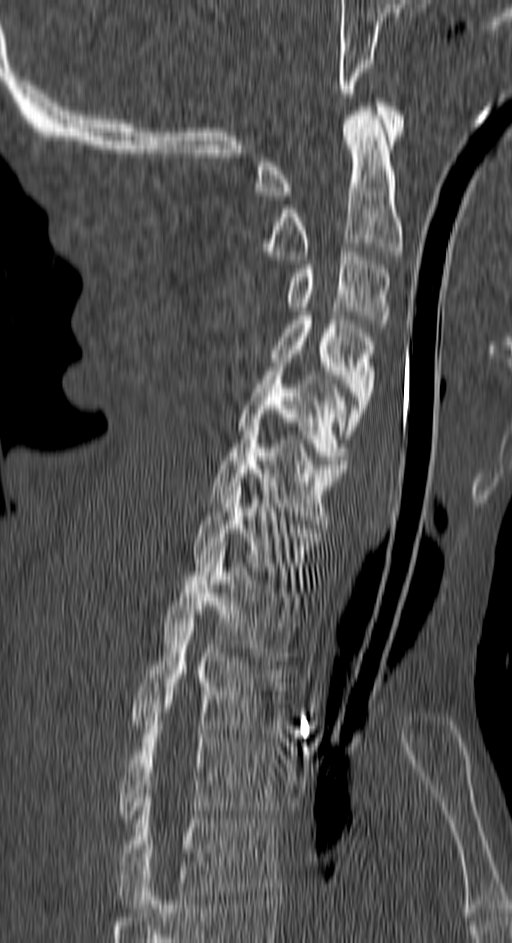

Computed tomography of the spine; sagittal view; Bone window (WL 400, WW 1800)
Boxes are given in columns x1, y1, x2, y2, the pixel coordinates of their top-left and bottom-right corners.
| vertebra | x1 | y1 | x2 | y2 |
|---|---|---|---|---|
| C1 | 257 | 102 | 403 | 200 |
| C2 | 264 | 107 | 403 | 259 |
| C3 | 288 | 247 | 389 | 328 |
| C4 | 271 | 316 | 376 | 438 |
| C5 | 236 | 367 | 348 | 468 |
| C6 | 209 | 418 | 345 | 528 |
| C7 | 192 | 478 | 321 | 588 |
| T1 | 162 | 550 | 299 | 660 |
| T2 | 131 | 623 | 285 | 733 |
| T3 | 117 | 721 | 277 | 822 |
| T4 | 117 | 802 | 277 | 908 |